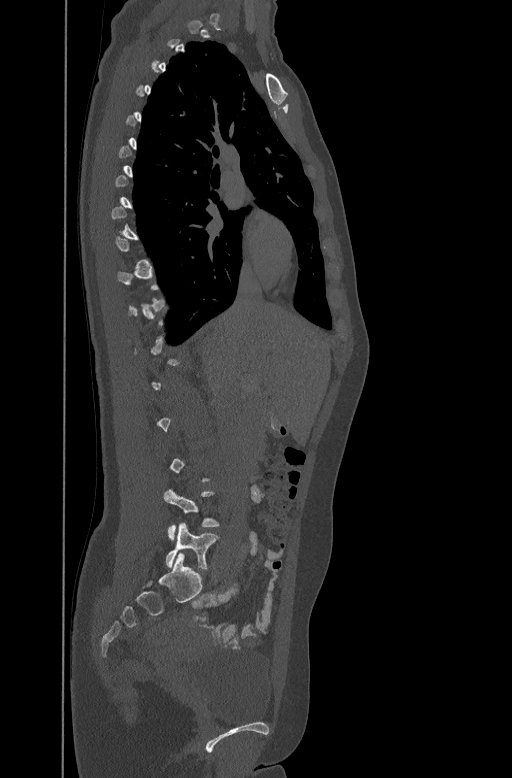

Spine CT · sagittal reformat

A vertebra gets a box only on the slices from the first to the last where its cross-section is at least a third of its largest; on a slice outside that range it gets none.
<vertebrae><v name="L4" x1="164" y1="489" x2="220" y2="540"/><v name="L5" x1="166" y1="523" x2="219" y2="569"/></vertebrae>